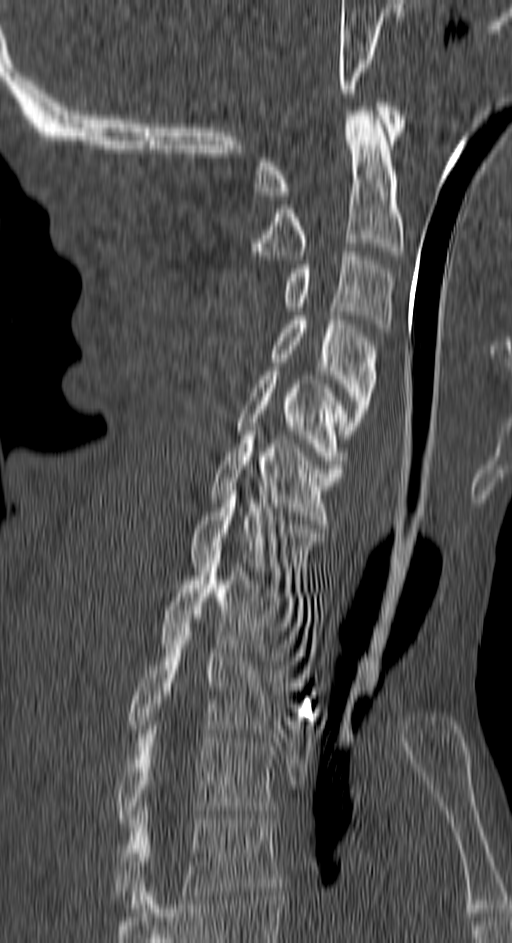
Spine CT · sagittal view · bone window
Each box is [x1, y1, x2, y2] in pixels: top-left corner, then bottom-right corner.
{"vertebrae":{"T4":[114,811,280,908],"T3":[117,730,277,822],"T2":[128,627,287,737],"T1":[158,559,301,660],"C7":[189,491,324,588],"C6":[209,427,342,524],"C5":[237,371,348,468],"C4":[271,316,376,438],"C3":[285,252,393,332],"C2":[250,107,403,259],"C1":[256,102,403,195]}}